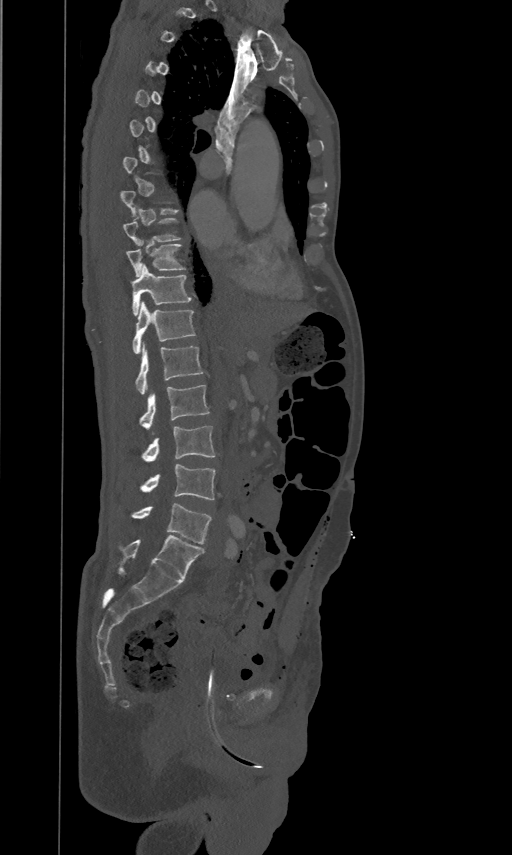
CT spine; sagittal reformat; bone window; 512x855 px; image width 461 mm
Bounding boxes as [x1, y1, x2, y2] in pixel coordinates. A vertebra is boxed only from the first to the last slice where its cross-section is at least a third of its largest; slices outside that range leave it without a box. The labeled vertebrae in this slice are: T10 at [125, 241, 182, 275], T11 at [130, 264, 190, 315], T12 at [132, 301, 195, 353], L1 at [135, 342, 202, 394], L2 at [139, 384, 209, 430], L3 at [142, 425, 214, 463], L4 at [141, 464, 215, 500], L5 at [132, 503, 211, 543].